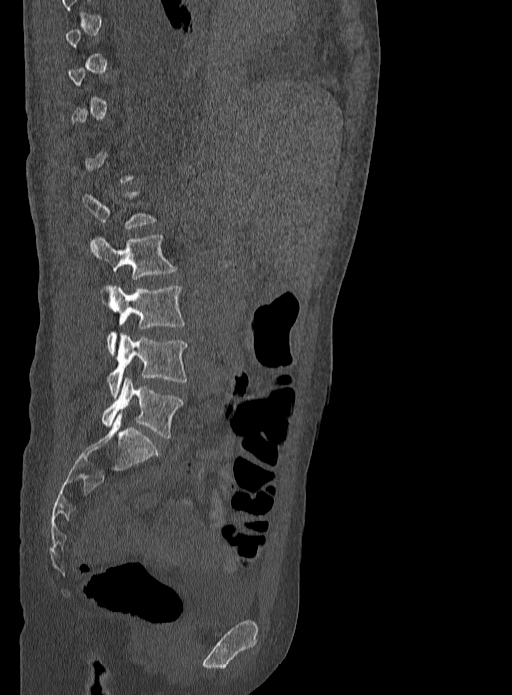

Spine computed tomography — image 333 mm wide — sagittal view
Not every vertebra on this slice has a box: a vertebra is boxed only from the first to the last slice where its cross-section is at least a third of its largest, and this slice is outside that range for at least one of them.
<vertebrae><v name="L2" x1="90" y1="235" x2="177" y2="279"/><v name="L3" x1="103" y1="286" x2="185" y2="353"/><v name="L4" x1="107" y1="334" x2="186" y2="396"/><v name="L5" x1="101" y1="377" x2="183" y2="437"/></vertebrae>